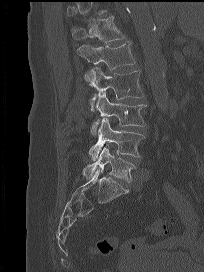

CT. sagittal view. Bone window (WL 400, WW 1800). Boxes: x1 y1 x2 y2 (pixel coords, space-separated).
A vertebra cut off by the top edge of the scan is not labeled and has no box.
Vertebra bounding boxes:
- T12: 70 16 124 42
- L1: 77 41 135 85
- L2: 84 68 144 110
- L3: 91 93 146 134
- L4: 89 118 144 160
- L5: 82 145 136 183